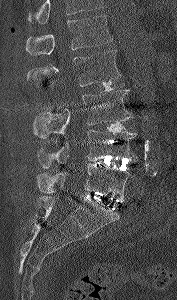 CT spine · sagittal view · 177x300 px

Where the top of the scan cuts through a vertebra, that vertebra gets no label or box.
<vertebrae><v name="L1" x1="26" y1="15" x2="113" y2="55"/><v name="L2" x1="27" y1="50" x2="121" y2="86"/><v name="L3" x1="34" y1="90" x2="132" y2="138"/><v name="L4" x1="36" y1="130" x2="136" y2="168"/><v name="L5" x1="37" y1="163" x2="133" y2="199"/></vertebrae>